Spine CT; sagittal reformat; bone window; image width 162 mm
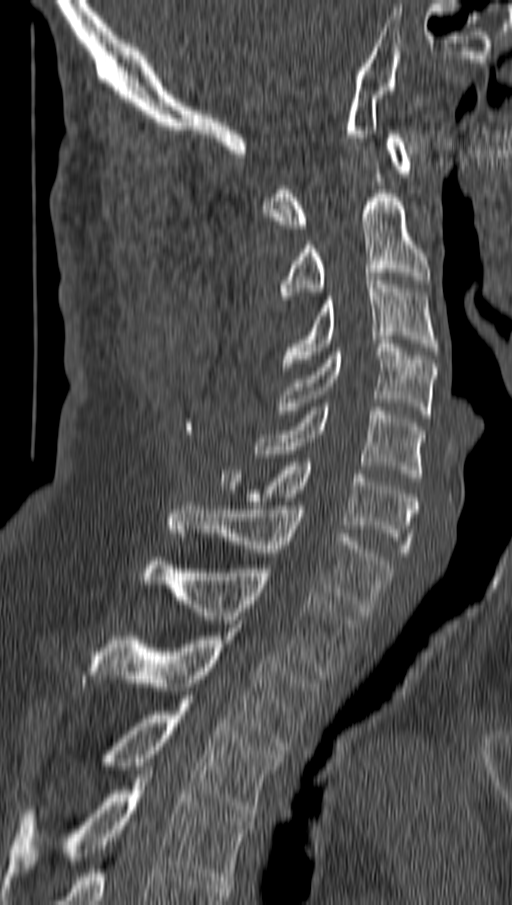 Columns x1, y1, x2, y2 give each box's top-left and bottom-right pixels.
| vertebra | x1 | y1 | x2 | y2 |
|---|---|---|---|---|
| C1 | 263 | 134 | 413 | 228 |
| C2 | 279 | 190 | 430 | 299 |
| C3 | 282 | 280 | 439 | 370 |
| C4 | 279 | 344 | 436 | 418 |
| C5 | 257 | 403 | 424 | 481 |
| C6 | 219 | 458 | 417 | 556 |
| C7 | 169 | 502 | 392 | 615 |
| T1 | 143 | 561 | 357 | 679 |
| T2 | 83 | 628 | 319 | 750 |
| T3 | 105 | 699 | 281 | 817 |
| T4 | 5 | 770 | 250 | 888 |